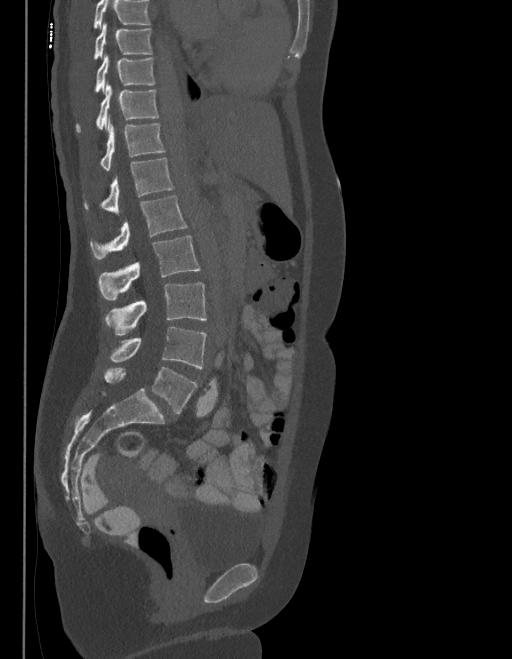
CT spine; sagittal view; 403 mm wide

Box edges are left/top/right/bottom in pixels.
Where the top of the scan cuts through a vertebra, that vertebra gets no label or box.
These labels give the spine a sixth lumbar vertebra, L6, below L5.
Vertebra bounding boxes:
- T9: left=93, top=24, right=153, bottom=60
- T10: left=94, top=56, right=155, bottom=93
- T11: left=76, top=85, right=159, bottom=133
- T12: left=100, top=120, right=164, bottom=169
- L1: left=84, top=158, right=173, bottom=213
- L2: left=90, top=196, right=187, bottom=259
- L3: left=99, top=236, right=200, bottom=300
- L4: left=105, top=282, right=206, bottom=335
- L5: left=110, top=327, right=206, bottom=368
- L6: left=104, top=367, right=197, bottom=414